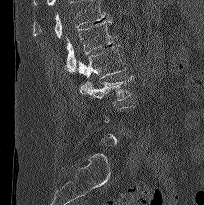 CT · sagittal view
Boxes are given in columns x1, y1, x2, y2, the pixel coordinates of their top-left and bottom-right corners.
A vertebra is boxed only from the first to the last slice where its cross-section is at least a third of its largest; slices outside that range leave it without a box.
No box is given to a vertebra that the top edge of the scan cuts off.
| vertebra | x1 | y1 | x2 | y2 |
|---|---|---|---|---|
| L1 | 66 | 19 | 115 | 73 |
| L2 | 77 | 45 | 126 | 78 |
| L3 | 79 | 75 | 133 | 103 |